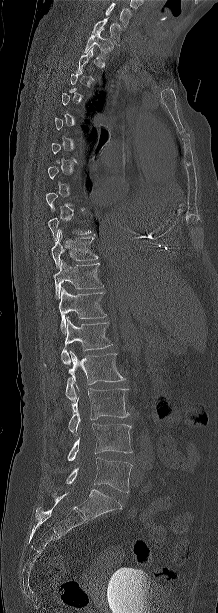
Computed tomography of the spine · sagittal view · W/L 1800/400 HU
Boxes: x1:y1:x2:y2 in pixels.
A vertebra is boxed only from the first to the last slice where its cross-section is at least a third of its largest; slices outside that range leave it without a box.
This scan's labels start at C7 at the top and end at L5 at the bottom.
C7: 92:17:122:43
T1: 84:30:113:59
T10: 51:230:98:268
T11: 53:260:103:299
T12: 59:288:106:334
L1: 61:317:112:364
L2: 65:351:125:401
L3: 68:388:129:433
L4: 67:423:132:460
L5: 59:457:132:492